Spine computed tomography. sagittal plane, index 178. 317x559 px. 18 vertebrae labeled in this scan. 317 mm image width
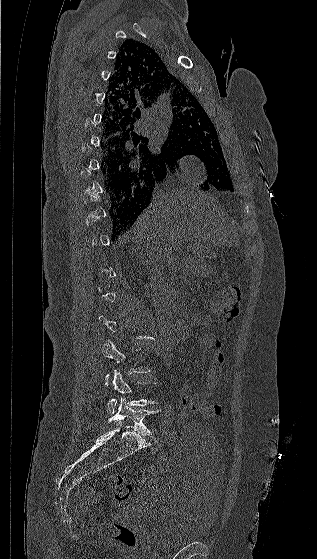
Each box is [x1, y1, x2, y2] in pixels: top-left corner, then bottom-right corner.
Each vertebra is boxed only on the slices from the first to the last where its cross-section reaches a third of its largest, so a slice outside that range leaves it unboxed.
{"vertebrae":{"L3":[101,340,150,386],"L4":[107,369,158,414],"L5":[107,397,158,435]}}